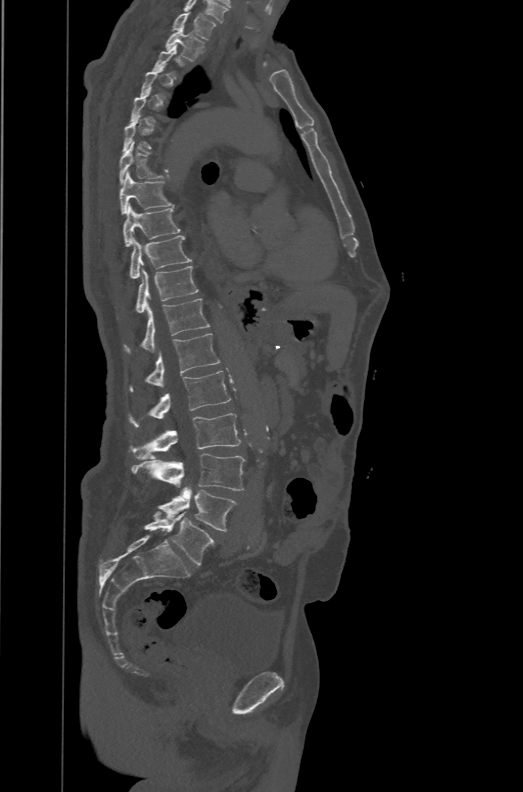
CT — sagittal view — the image is 471 mm wide. Each box given as x1,y1,x2,y2. Not every vertebra on this slice has a box: a vertebra is boxed only from the first to the last slice where its cross-section is at least a third of its largest, and this slice is outside that range for at least one of them. This scan's labels start at T1 at the top and end at L6 at the bottom. These labels give the spine a sixth lumbar vertebra, L6, below L5. The labeled vertebrae in this slice are: T1 at x1=172, y1=12, x2=216, y2=40, T2 at x1=166, y1=27, x2=204, y2=60, T7 at x1=119, y1=142, x2=164, y2=184, T8 at x1=119, y1=171, x2=175, y2=214, T9 at x1=123, y1=203, x2=180, y2=247, T10 at x1=129, y1=235, x2=191, y2=279, T11 at x1=136, y1=266, x2=198, y2=314, T12 at x1=124, y1=299, x2=209, y2=353, L1 at x1=129, y1=333, x2=220, y2=391, L2 at x1=129, y1=371, x2=231, y2=427, L3 at x1=131, y1=413, x2=240, y2=461, L4 at x1=132, y1=453, x2=244, y2=490, L5 at x1=157, y1=486, x2=238, y2=531, L6 at x1=143, y1=511, x2=214, y2=565.